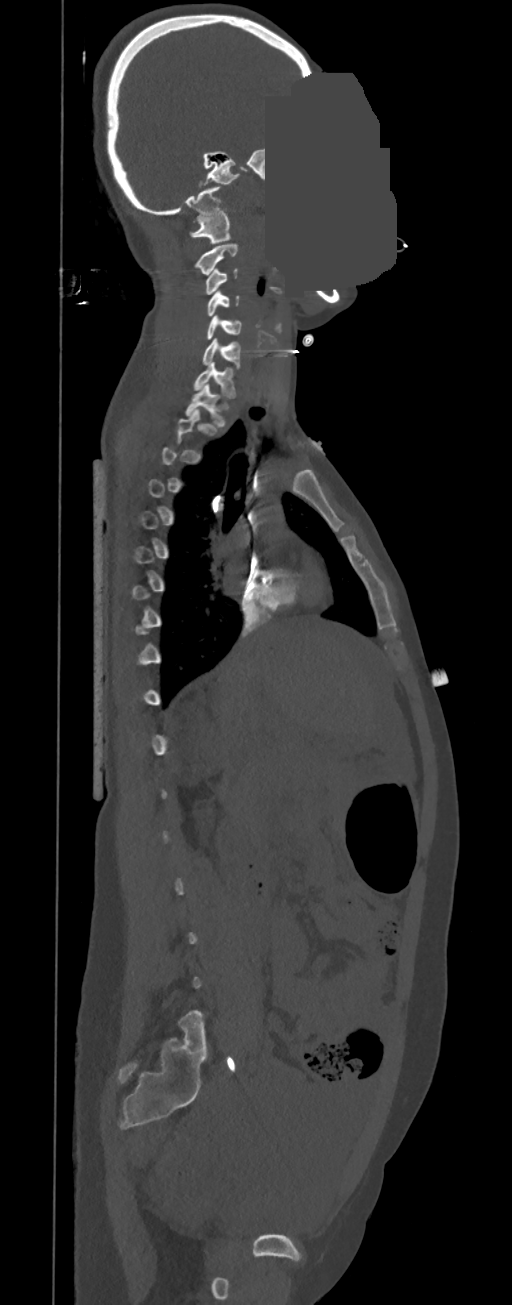
CT, spine. sagittal view. the image spans 350 mm across. a uniform gray block covers part of the image. Boxes: x1 y1 x2 y2 (pixel coords, space-separated).
A vertebra is boxed only from the first to the last slice where its cross-section is at least a third of its largest; slices outside that range leave it without a box.
C1: 190 211 230 243
C2: 194 244 237 275
C3: 205 269 237 294
C4: 206 291 239 316
C5: 206 316 242 339
C6: 202 338 240 369
C7: 194 362 236 398
T1: 186 383 225 427